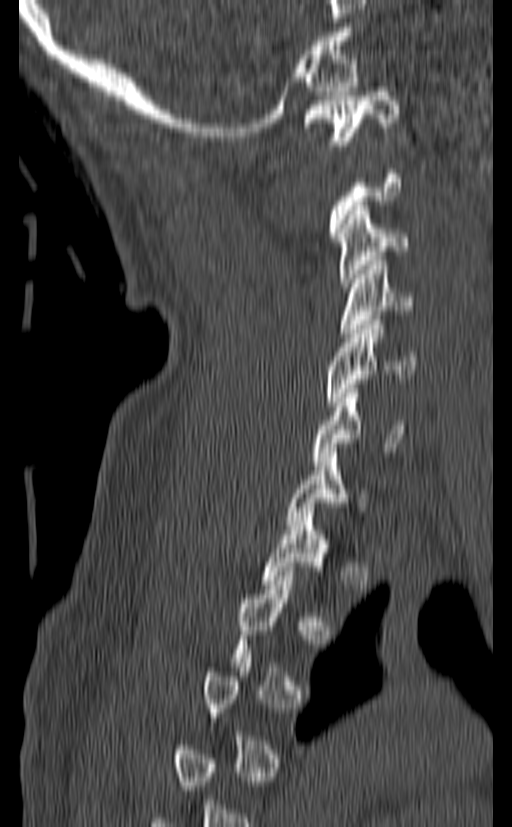

CT, spine; sagittal view; bone window; 140 mm wide; 512x827 px. Coordinates as <box>x1,y1,x2,y2</box>.
A vertebra is boxed only from the first to the last slice where its cross-section is at least a third of its largest; slices outside that range leave it without a box.
Vertebra bounding boxes:
- C1: <box>303,87,399,145</box>
- C3: <box>336,206,408,287</box>
- C4: <box>340,261,413,337</box>
- C5: <box>327,320,415,406</box>
- C6: <box>313,384,407,465</box>
- C7: <box>287,453,368,529</box>